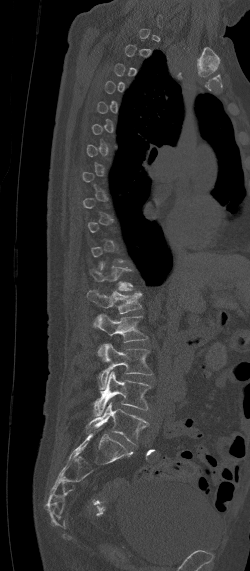

CT spine; sagittal view; 250x571 px
A vertebra gets a box only on the slices from the first to the last where its cross-section is at least a third of its largest; on a slice outside that range it gets none.
<vertebrae><v name="T12" x1="89" y1="262" x2="134" y2="290"/><v name="L1" x1="86" y1="290" x2="143" y2="313"/><v name="L2" x1="93" y1="314" x2="147" y2="358"/><v name="L3" x1="97" y1="344" x2="152" y2="389"/><v name="L4" x1="92" y1="371" x2="152" y2="416"/><v name="L5" x1="84" y1="402" x2="149" y2="443"/></vertebrae>